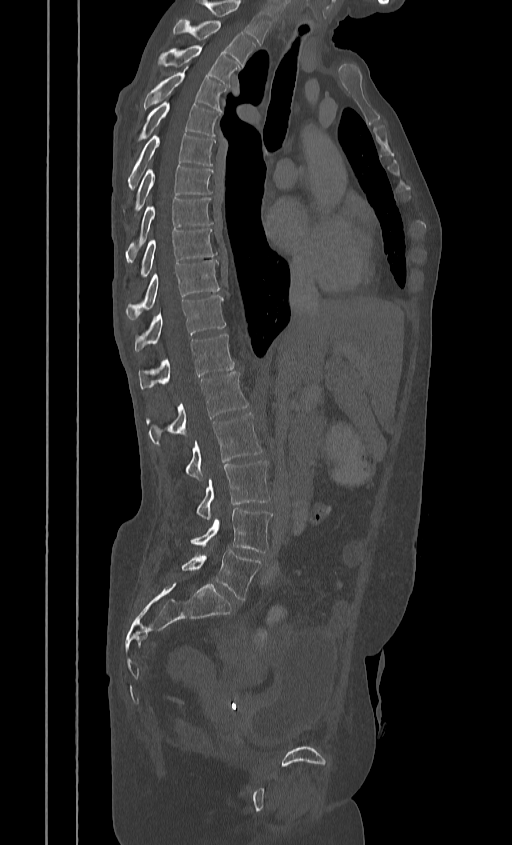 Spine CT · image width 384 mm · sagittal view · W/L 1800/400 HU

Columns x1, y1, x2, y2 give each box's top-left and bottom-right pixels.
In this scan, the topmost labeled vertebra is T2 and the lowest is L5.
| vertebra | x1 | y1 | x2 | y2 |
|---|---|---|---|---|
| T2 | 173 | 19 | 256 | 66 |
| T3 | 158 | 45 | 239 | 86 |
| T4 | 142 | 72 | 227 | 111 |
| T5 | 137 | 101 | 220 | 140 |
| T6 | 128 | 135 | 215 | 190 |
| T7 | 124 | 165 | 213 | 218 |
| T8 | 126 | 197 | 213 | 262 |
| T9 | 136 | 229 | 216 | 282 |
| T10 | 125 | 260 | 220 | 319 |
| T11 | 134 | 295 | 225 | 351 |
| T12 | 138 | 333 | 235 | 388 |
| L1 | 146 | 372 | 248 | 444 |
| L2 | 185 | 413 | 263 | 479 |
| L3 | 196 | 461 | 269 | 519 |
| L4 | 190 | 508 | 272 | 552 |
| L5 | 181 | 549 | 261 | 600 |